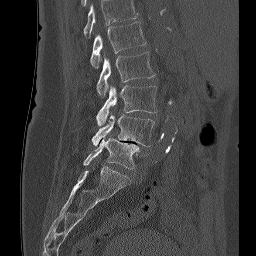

Spine CT. the image is 256 mm wide. sagittal view
Bounding boxes as [x1, y1, x2, y2] in pixel coordinates. Labels in this scan begin with L1 at the top and end with L5 at the bottom. Vertebrae labeled: L1 at [90, 22, 146, 68], L2 at [96, 51, 155, 95], L3 at [96, 85, 157, 126], L4 at [91, 114, 154, 146], L5 at [83, 138, 139, 169].